Spine CT. sagittal view. image 395 mm wide. W/L 1800/400 HU. scan covers 7 annotated vertebrae
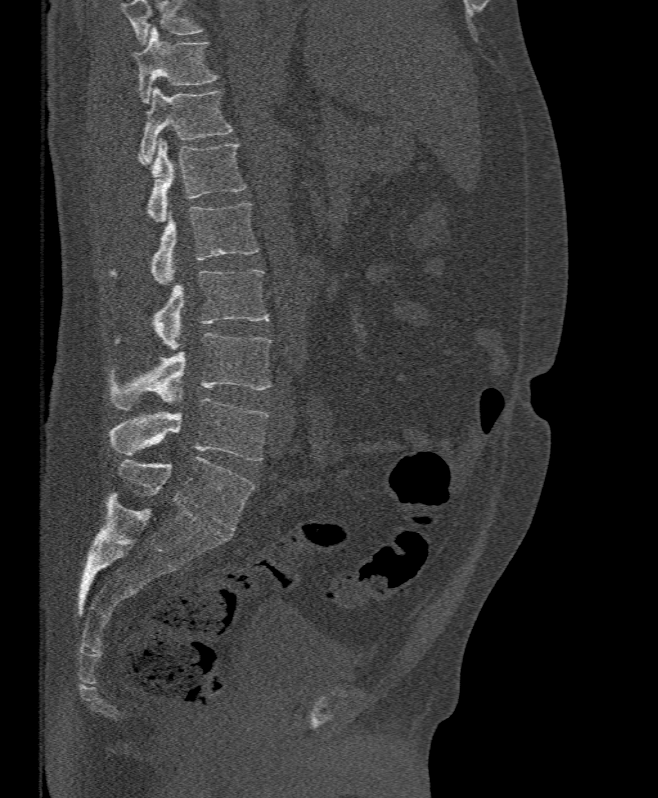
Boxes are (x1, y1, x2, y2) in pixels. No box is given to a vertebra that the top edge of the scan cuts off. 7 vertebrae labeled — T11 at (134, 25, 219, 102); T12 at (140, 87, 232, 163); L1 at (139, 138, 247, 221); L2 at (109, 203, 259, 284); L3 at (114, 270, 269, 349); L4 at (111, 333, 270, 409); L5 at (108, 398, 269, 461).